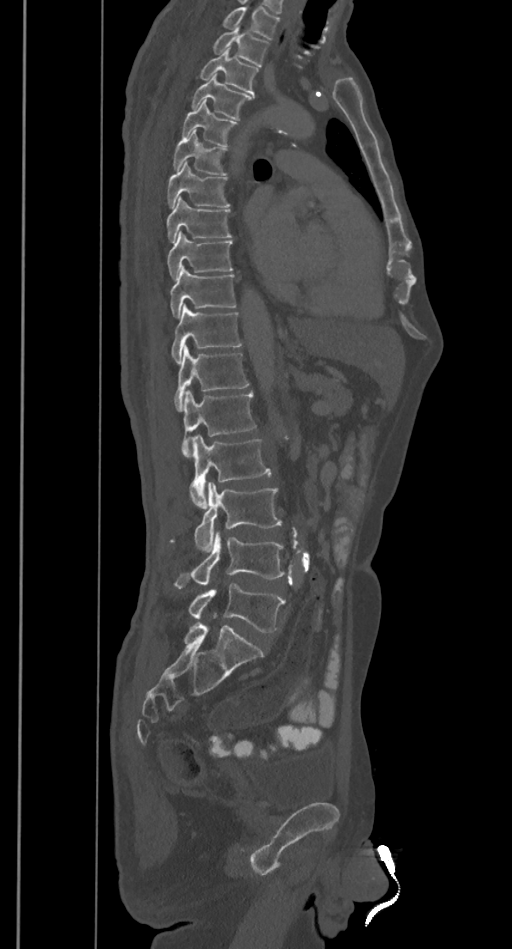 CT spine. sagittal view. bone window
Where the top of the scan cuts through a vertebra, that vertebra gets no label or box.
<vertebrae><v name="L5" x1="189" y1="583" x2="285" y2="632"/><v name="L4" x1="174" y1="530" x2="285" y2="587"/><v name="L3" x1="171" y1="481" x2="281" y2="551"/><v name="L2" x1="190" y1="434" x2="270" y2="506"/><v name="L1" x1="182" y1="390" x2="255" y2="456"/><v name="T12" x1="174" y1="346" x2="249" y2="411"/><v name="T11" x1="172" y1="304" x2="241" y2="363"/><v name="T10" x1="170" y1="268" x2="236" y2="316"/><v name="T9" x1="167" y1="231" x2="233" y2="279"/><v name="T8" x1="166" y1="196" x2="230" y2="242"/><v name="T7" x1="167" y1="160" x2="229" y2="207"/><v name="T6" x1="174" y1="132" x2="225" y2="175"/><v name="T5" x1="180" y1="101" x2="237" y2="146"/><v name="T4" x1="191" y1="74" x2="252" y2="119"/><v name="T3" x1="199" y1="48" x2="258" y2="95"/><v name="T2" x1="213" y1="26" x2="269" y2="66"/></vertebrae>